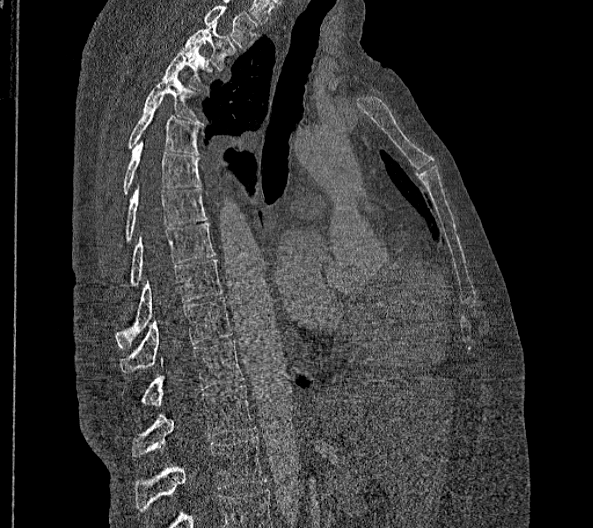
Spine computed tomography; sagittal view; bone-window reconstruction; 593x528 px
Boxes are given in columns x1, y1, x2, y2, the pixel coordinates of their top-left and bottom-right corners.
In this scan, the topmost labeled vertebra is T2 and the lowest is L2.
These labels give this spine no T12: after T11 the next vertebra is L1.
| vertebra | x1 | y1 | x2 | y2 |
|---|---|---|---|---|
| T2 | 183 | 22 | 237 | 70 |
| T3 | 163 | 43 | 212 | 87 |
| T4 | 143 | 72 | 203 | 125 |
| T5 | 129 | 97 | 199 | 155 |
| T6 | 123 | 140 | 201 | 194 |
| T7 | 125 | 188 | 208 | 241 |
| T8 | 130 | 223 | 216 | 284 |
| T9 | 116 | 259 | 221 | 349 |
| T10 | 119 | 297 | 232 | 372 |
| T11 | 140 | 340 | 244 | 406 |
| L1 | 131 | 385 | 255 | 457 |
| L2 | 134 | 437 | 266 | 512 |